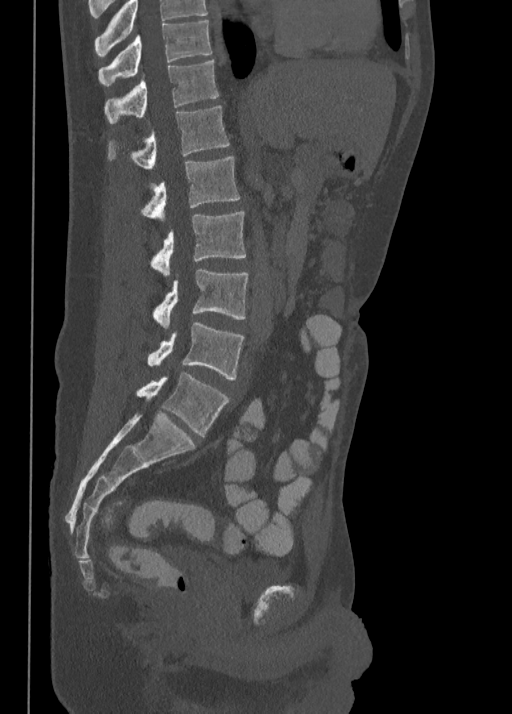

Computed tomography of the spine. sagittal view. bone-window reconstruction. 512x714 px

Bounding boxes as [x1, y1, x2, y2] in pixel coordinates. This scan's labels start at T10 at the top and end at L5 at the bottom. 8 vertebrae labeled — T10 at [98, 20, 212, 85]; T11 at [104, 59, 218, 124]; T12 at [107, 105, 230, 169]; L1 at [139, 157, 240, 220]; L2 at [149, 211, 246, 274]; L3 at [152, 269, 249, 327]; L4 at [146, 321, 245, 379]; L5 at [136, 371, 230, 436].